Spine computed tomography; Sagittal slice 238/512
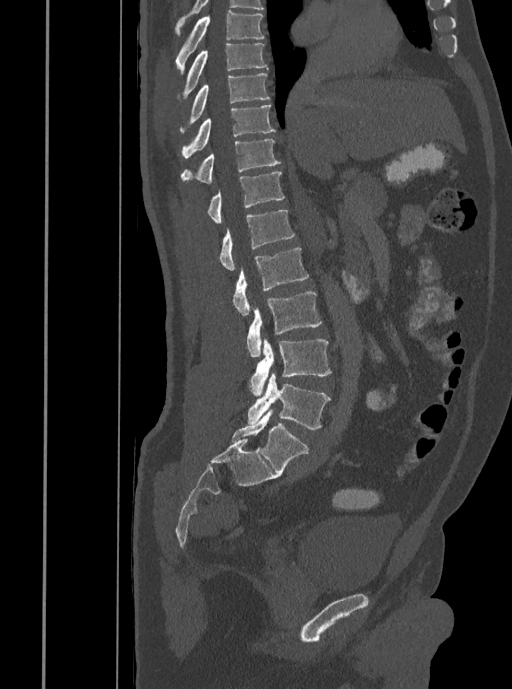
<vertebrae><v name="T7" x1="176" y1="10" x2="264" y2="74"/><v name="T8" x1="178" y1="43" x2="267" y2="100"/><v name="T9" x1="181" y1="73" x2="269" y2="132"/><v name="T10" x1="181" y1="104" x2="275" y2="158"/><v name="T11" x1="181" y1="139" x2="281" y2="183"/><v name="T12" x1="207" y1="171" x2="285" y2="223"/><v name="L1" x1="218" y1="210" x2="295" y2="270"/><v name="L2" x1="232" y1="247" x2="309" y2="315"/><v name="L3" x1="247" y1="291" x2="321" y2="357"/><v name="L4" x1="249" y1="339" x2="331" y2="395"/><v name="L5" x1="247" y1="373" x2="330" y2="429"/></vertebrae>